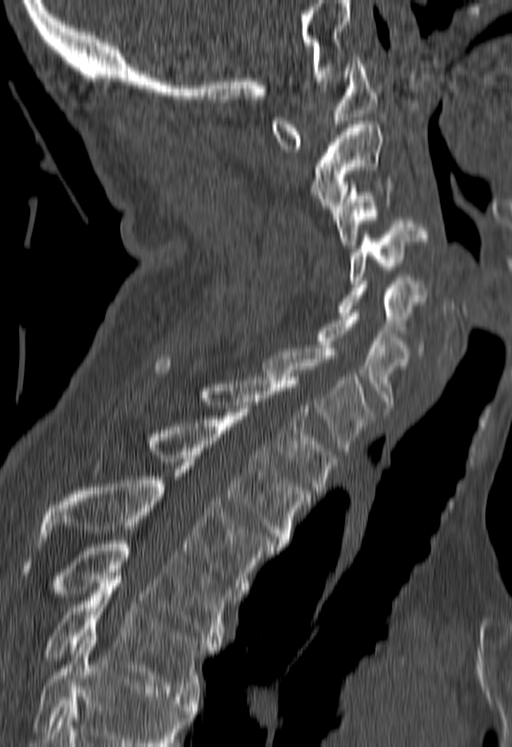

CT, spine — sagittal view — W/L 1800/400 HU
Boxes: x1 y1 x2 y2 (pixel coords, space-separated).
No box is given to a vertebra that the bottom edge of the scan cuts off.
C1: 271 57 377 152
C2: 311 124 381 212
C3: 334 181 390 248
C4: 351 220 428 283
C5: 339 281 425 333
C6: 319 313 410 411
C7: 263 348 373 454
T1: 151 359 336 493
T2: 152 412 313 547
T3: 39 466 273 596
T4: 21 540 230 646
T5: 44 580 216 699